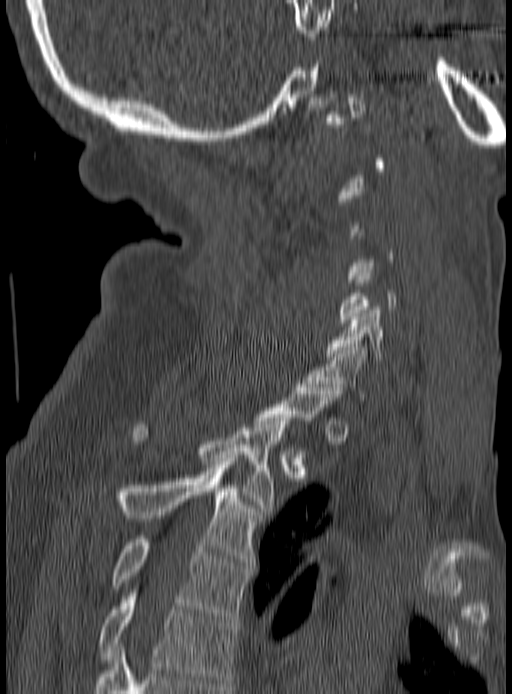

CT — sagittal view — Bone window (WL 400, WW 1800) — the image is 190 mm wide
Each vertebra maps to its box as [x1, y1, x2, y2], the pixel coordinates of its top-left and bottom-right corners.
A vertebra is boxed only from the first to the last slice where its cross-section is at least a third of its largest; slices outside that range leave it without a box.
{"vertebrae":{"C6":[325,307,411,359],"C7":[306,344,367,400],"T2":[133,418,291,511],"T3":[98,461,259,565],"T4":[111,536,248,619],"T5":[98,593,237,686]}}